CT spine. sagittal view. bone-window reconstruction. scan covers 16 annotated vertebrae. image 165 mm wide
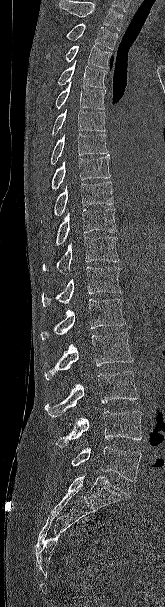

Each box is [x1, y1, x2, y2] in pixels: top-left corner, then bottom-right corner.
Where the top of the scan cuts through a vertebra, that vertebra gets no label or box.
{"vertebrae":{"T2":[66,23,117,49],"T3":[46,45,111,68],"T4":[57,60,107,87],"T5":[55,82,106,109],"T6":[51,109,105,134],"T7":[50,133,108,164],"T8":[51,154,110,190],"T9":[54,181,113,216],"T10":[43,208,117,246],"T11":[42,236,119,272],"T12":[42,266,122,306],"L1":[40,299,125,339],"L2":[44,332,133,380],"L3":[45,371,138,417],"L4":[54,411,141,447],"L5":[71,446,141,482]}}